CT; the image spans 149 mm across; sagittal plane, index 238; Bone window (WL 400, WW 1800); 12 vertebrae labeled in this scan
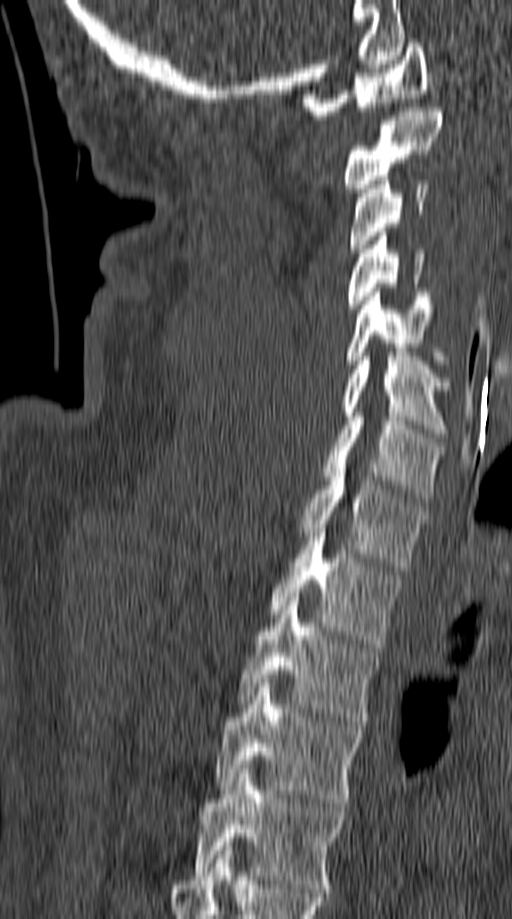 Each vertebra maps to its box as [x1, y1, x2, y2], the pixel coordinates of its top-left and bottom-right corners.
{"vertebrae":{"C1":[304,43,428,119],"C2":[341,103,443,192],"C3":[348,172,429,252],"C4":[348,232,426,313],"C5":[347,288,450,368],"C6":[341,352,450,437],"C7":[324,412,444,502],"T1":[298,468,426,570],"T2":[269,533,402,648],"T3":[238,597,382,725],"T4":[214,683,364,807],"T5":[191,769,347,892]}}